Spine computed tomography; sagittal reformat; 140 mm across the image; Bone window (WL 400, WW 1800)
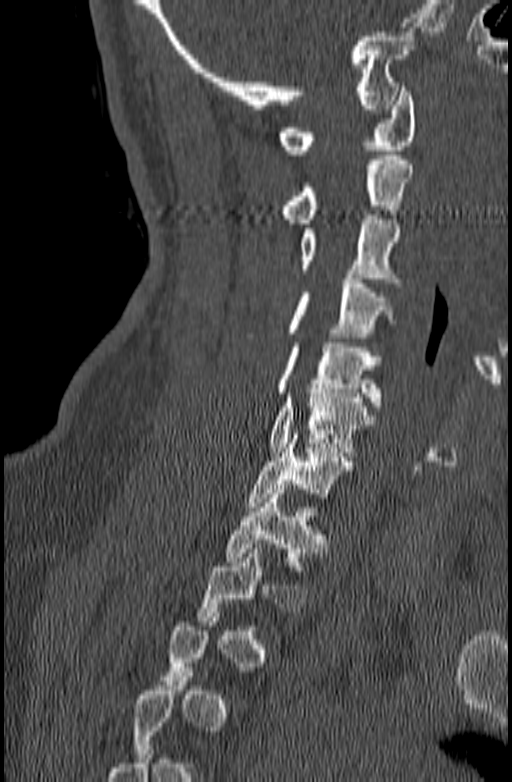
Bounding boxes as [x1, y1, x2, y2] in pixel coordinates. A vertebra is boxed only from the first to the last slice where its cross-section is at least a third of its largest; slices outside that range leave it without a box. 8 vertebrae labeled — C1 at [279, 87, 417, 154]; C2 at [283, 155, 414, 223]; C3 at [300, 215, 401, 282]; C4 at [287, 274, 396, 337]; C5 at [276, 338, 382, 406]; C6 at [268, 389, 375, 456]; C7 at [246, 434, 352, 506]; T1 at [225, 489, 326, 570].